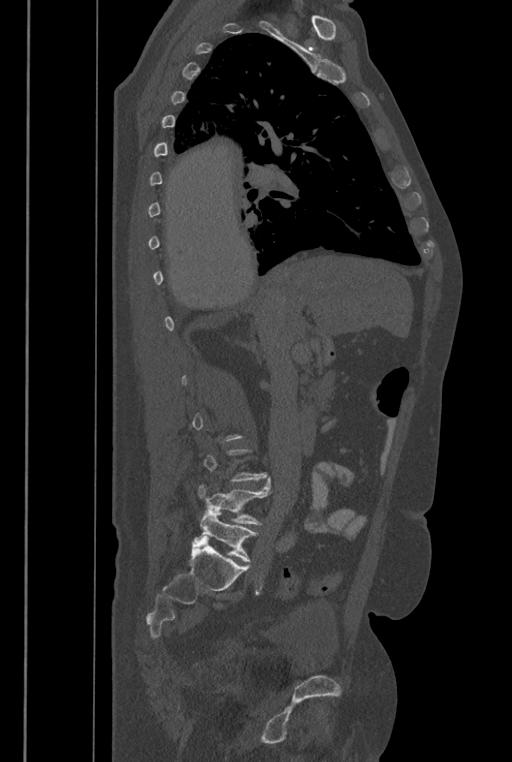 Spine computed tomography — sagittal view — bone-window reconstruction — 512x762 px — image 446 mm wide
Each box given as x1,y1,x2,y2.
Each vertebra is boxed only on the slices from the first to the last where its cross-section reaches a third of its largest, so a slice outside that range leaves it unboxed.
In these labels the spine has an L6, a sixth lumbar vertebra below L5.
Vertebra bounding boxes:
- L6: x1=197, y1=508, x2=258, y2=562
- L5: x1=197, y1=477, x2=270, y2=524